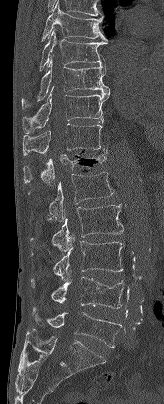

CT, spine — sagittal view
Boxes: x1:y1:x2:y2 in pixels. 11 vertebrae labeled — T7 at 41:1:107:41; T8 at 39:28:107:70; T9 at 21:58:109:109; T10 at 22:87:110:133; T11 at 22:123:105:156; T12 at 23:148:106:186; L1 at 28:172:114:221; L2 at 30:204:123:252; L3 at 31:236:123:280; L4 at 31:276:123:308; L5 at 31:307:122:348.